Computed tomography of the spine. sagittal plane, index 64. Bone window (WL 400, WW 1800)
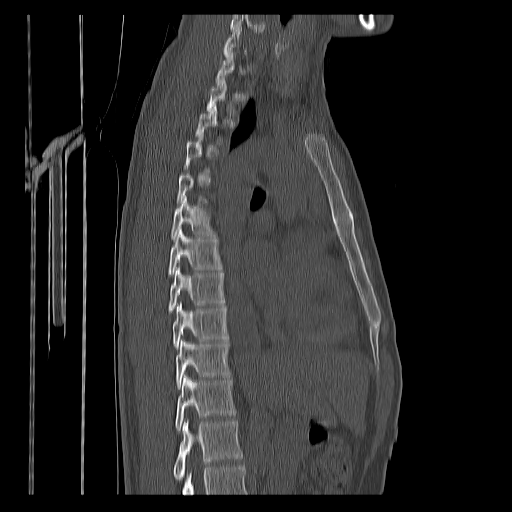 In the table, x1 and y1 are a box's top-left corner and x2 and y2 its bottom-right corner, in pixels.
A vertebra is boxed only from the first to the last slice where its cross-section is at least a third of its largest; slices outside that range leave it without a box.
No box is given to a vertebra that the bottom edge of the scan cuts off.
| vertebra | x1 | y1 | x2 | y2 |
|---|---|---|---|---|
| T6 | 170 | 196 | 214 | 240 |
| T7 | 168 | 228 | 222 | 276 |
| T8 | 168 | 266 | 224 | 313 |
| T9 | 173 | 302 | 228 | 349 |
| T10 | 176 | 339 | 230 | 388 |
| T11 | 176 | 374 | 235 | 432 |
| T12 | 173 | 420 | 242 | 480 |